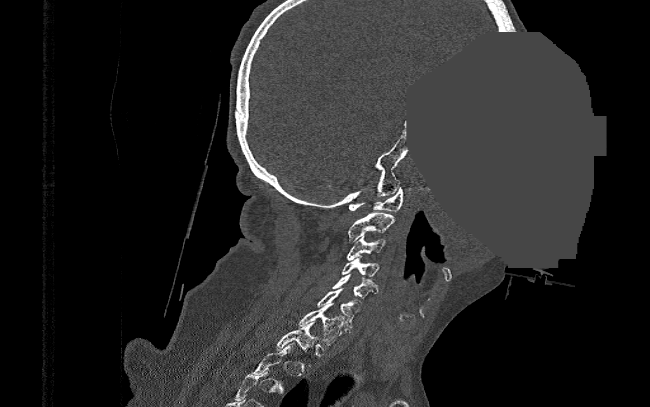 CT — sagittal view — Bone window (WL 400, WW 1800) — 650x407 px — an area of the scan was removed and filled with constant pixels. Boxes: x1 y1 x2 y2 (pixel coords, space-separated).
A vertebra gets a box only on the slices from the first to the last where its cross-section is at least a third of its largest; on a slice outside that range it gets none.
Vertebra bounding boxes:
- T1: 275 322 318 366
- C7: 298 303 344 344
- C6: 317 288 361 327
- C5: 333 274 377 298
- C4: 342 256 379 280
- C3: 347 236 385 260
- C2: 348 212 394 241
- C1: 348 187 403 211